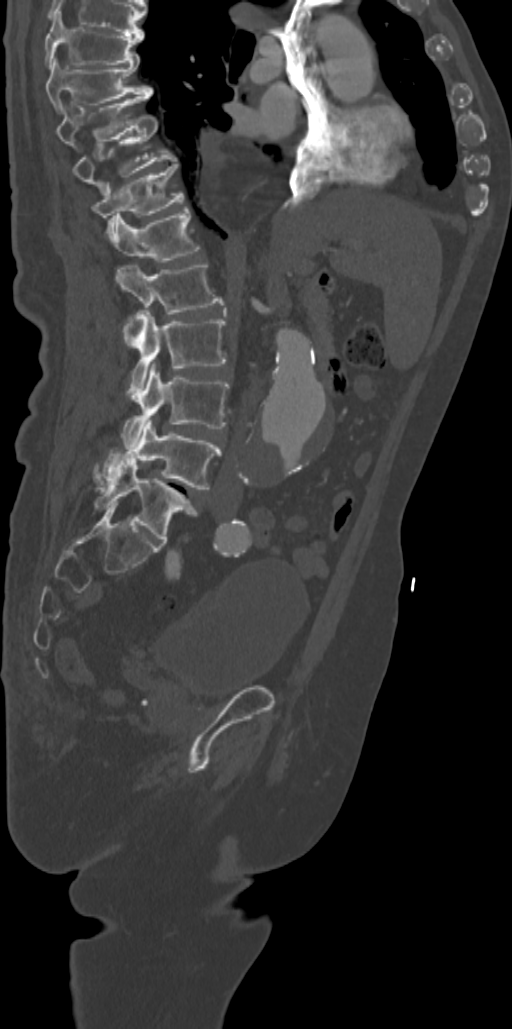 Spine computed tomography · sagittal view · image width 342 mm
Box values are [left, top, right, bottom] in pixels.
{"vertebrae":{"T7":[45,11,144,66],"T8":[45,56,153,114],"T9":[55,94,149,147],"T10":[72,117,176,194],"T11":[91,164,183,242],"T12":[111,207,199,262],"L1":[115,265,223,345],"L2":[124,310,225,399],"L3":[121,364,229,448],"L4":[94,420,220,489],"L5":[94,458,196,543]}}